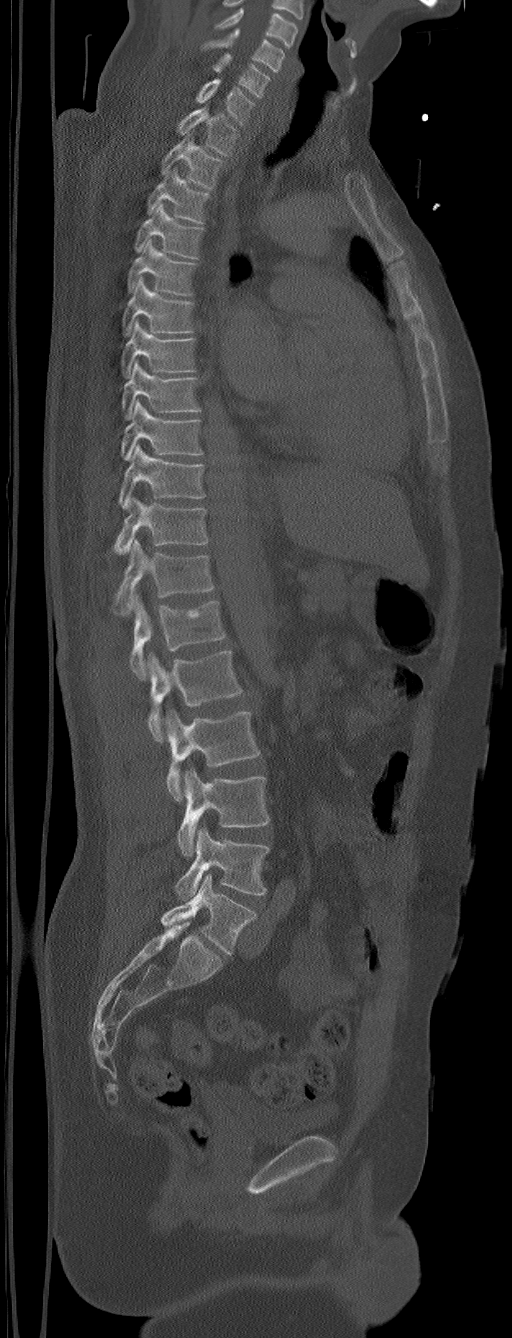

CT, spine; sagittal view; 512x1338 px. Boxes: x1:y1:x2:y2 in pixels.
Labels in this scan begin with C5 at the top and end with L6 at the bottom.
The labels name a sixth lumbar vertebra for this spine: L6, after L5.
Vertebra bounding boxes:
- L6: 161:875:256:955
- L5: 175:826:270:901
- L4: 177:767:270:856
- L3: 165:710:260:801
- L2: 147:650:243:741
- L1: 130:593:226:679
- T12: 112:539:214:615
- T11: 113:497:208:555
- T10: 119:444:206:508
- T9: 121:399:203:460
- T8: 121:361:201:419
- T7: 121:321:196:378
- T6: 123:277:194:336
- T5: 127:239:196:295
- T4: 134:203:202:258
- T3: 147:168:209:223
- T2: 161:129:224:189
- T1: 177:106:238:155
- C7: 195:79:255:125
- C6: 213:52:270:97
- C5: 202:28:285:72